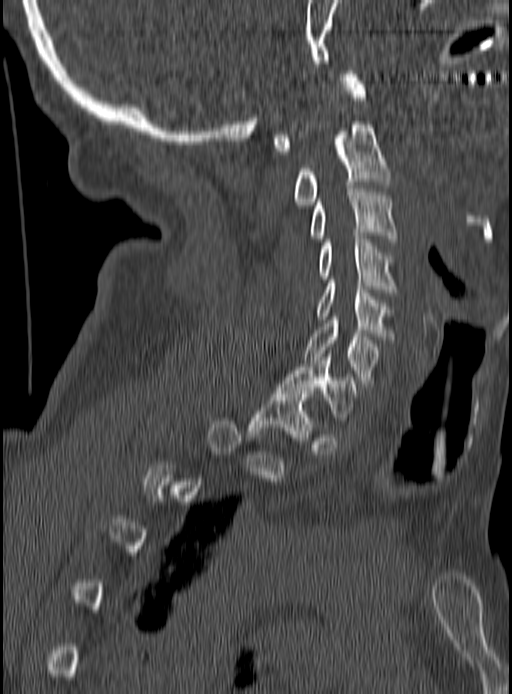
CT, spine; sagittal reformat; Bone window (WL 400, WW 1800); 512x694 px
Box edges are left/top/right/bottom in pixels.
A vertebra gets a box only on the slices from the first to the last where its cross-section is at least a third of its largest; on a slice outside that range it gets none.
T1: left=249, top=391, right=312, bottom=440
C7: left=278, top=354, right=359, bottom=417
C6: left=303, top=317, right=377, bottom=383
C5: left=316, top=280, right=392, bottom=339
C4: left=319, top=232, right=396, bottom=292
C3: left=311, top=189, right=396, bottom=242
C2: left=295, top=121, right=391, bottom=204
C1: left=272, top=71, right=365, bottom=154